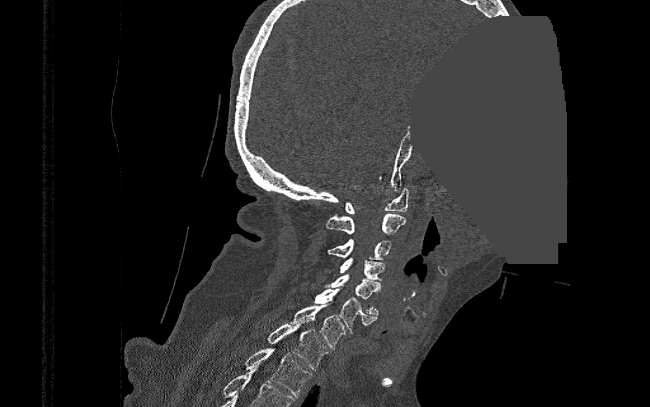 CT — sagittal view — Bone window (WL 400, WW 1800) — 650x407 px — a portion of the image is blanked out (constant pixel value)

Each box given as x1,y1,x2,y2. Vertebrae labeled: C1 at x1=343, y1=188, x2=408, y2=213, C2 at x1=326, y1=213, x2=407, y2=235, C3 at x1=328, y1=239, x2=391, y2=260, C4 at x1=339, y1=259, x2=385, y2=280, C5 at x1=325, y1=274, x2=380, y2=315, C6 at x1=312, y1=288, x2=376, y2=333, C7 at x1=288, y1=303, x2=346, y2=349, T1 at x1=267, y1=320, x2=328, y2=370, T2 at x1=244, y1=349, x2=311, y2=397.